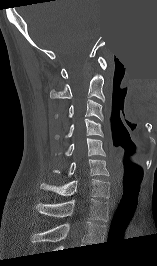 CT spine · sagittal view · bone-window reconstruction · part of the image is a flat gray fill, not anatomy

Each box given as x1,y1,x2,y2.
This scan's labels start at C1 at the top and end at T1 at the bottom.
| vertebra | x1 | y1 | x2 | y2 |
|---|---|---|---|---|
| T1 | 36 | 198 | 108 | 221 |
| C7 | 40 | 178 | 109 | 198 |
| C6 | 52 | 159 | 109 | 177 |
| C5 | 64 | 138 | 105 | 156 |
| C4 | 54 | 118 | 102 | 140 |
| C3 | 54 | 99 | 103 | 121 |
| C2 | 50 | 74 | 104 | 101 |
| C1 | 61 | 56 | 107 | 78 |